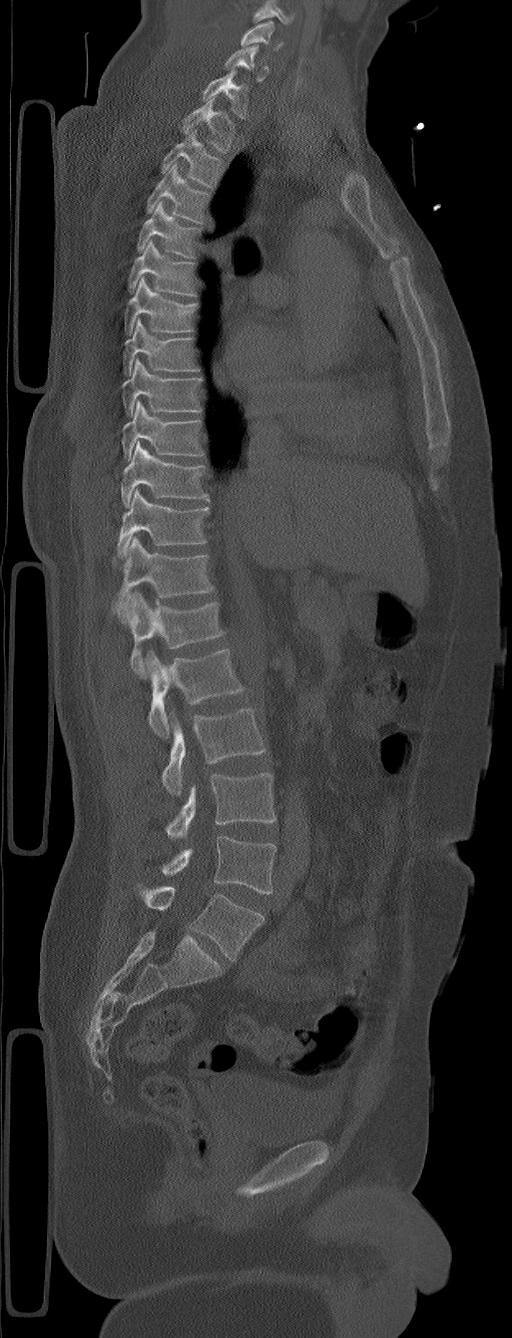
CT. sagittal view. 512x1338 px
Coordinates as <box>x1,y1,x2,y2</box>.
This scan's labels start at C5 at the top and end at L6 at the bottom.
In these labels the spine has an L6, a sixth lumbar vertebra below L5.
C5: <box>240,20,283,50</box>
C6: <box>224,45,268,82</box>
C7: <box>202,69,248,119</box>
T1: <box>182,98,236,152</box>
T2: <box>161,130,224,187</box>
T3: <box>146,163,209,223</box>
T4: <box>137,201,201,258</box>
T5: <box>128,239,196,296</box>
T6: <box>125,277,197,335</box>
T7: <box>123,318,199,376</box>
T8: <box>123,359,202,416</box>
T9: <box>121,401,204,461</box>
T10: <box>121,441,209,506</box>
T11: <box>114,489,209,558</box>
T12: <box>110,536,214,623</box>
L1: <box>127,591,224,678</box>
L2: <box>146,648,244,738</box>
L3: <box>161,709,266,795</box>
L4: <box>167,773,276,839</box>
L5: <box>161,836,276,894</box>
L6: <box>138,885,265,960</box>